Spine computed tomography · sagittal view · the image is 672 mm wide · bone window
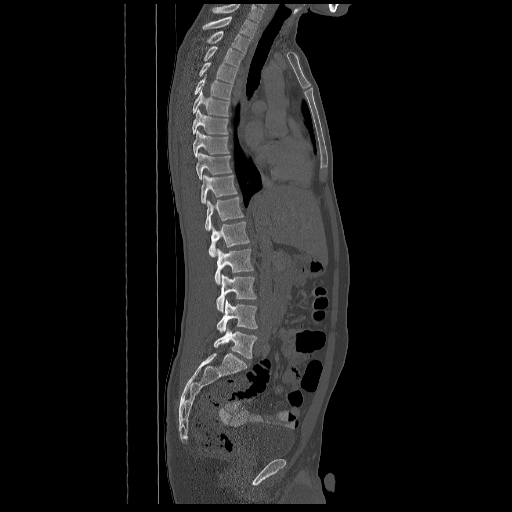
Boxes: x1:y1:x2:y2 in pixels.
Labels in this scan begin with T2 at the top and end with L5 at the bottom.
Vertebra bounding boxes:
- L5: 214:327:256:359
- L4: 217:299:257:333
- L3: 216:274:256:312
- L2: 215:248:253:284
- L1: 209:222:250:256
- T12: 204:197:243:231
- T11: 201:174:237:203
- T10: 196:152:231:180
- T9: 193:130:229:157
- T8: 192:109:227:134
- T7: 193:90:229:116
- T6: 194:75:233:99
- T5: 199:62:238:83
- T4: 203:46:243:67
- T3: 206:31:250:53
- T2: 203:16:257:38